CT spine. sagittal view. bone-window reconstruction
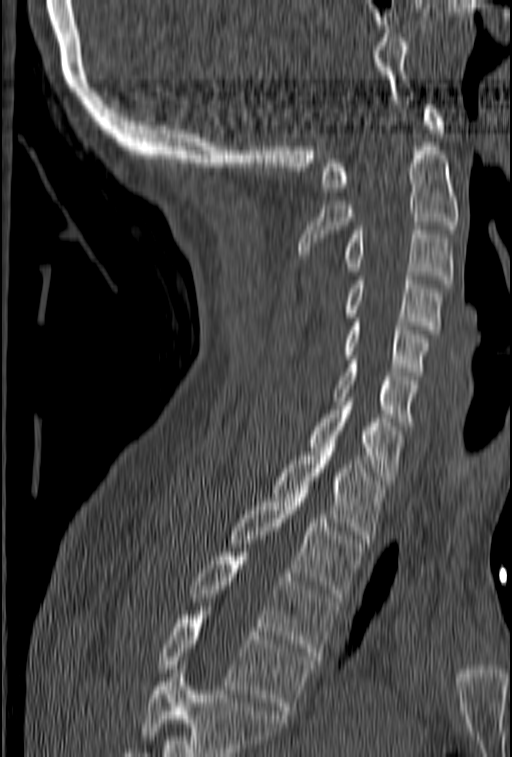

Boxes are (x1, y1, x2, y2) in pixels.
No box is given to a vertebra that the bottom edge of the scan cuts off.
C1: (320, 105, 445, 191)
C2: (299, 142, 459, 258)
C3: (343, 226, 454, 288)
C4: (346, 276, 442, 334)
C5: (343, 318, 429, 375)
C6: (334, 360, 418, 426)
C7: (307, 397, 402, 484)
T1: (273, 448, 385, 543)
T2: (228, 489, 363, 597)
T3: (191, 552, 336, 660)
T4: (158, 611, 313, 714)